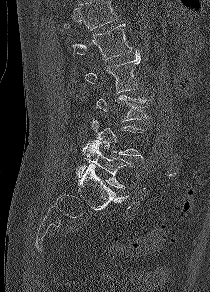 Spine CT. sagittal view. Each box given as x1,y1,x2,y2. No box is given to a vertebra that the top edge of the scan cuts off. The labeled vertebrae in this slice are: L5 at x1=75, y1=142, x2=132, y2=188, L4 at x1=92, y1=119, x2=144, y2=157, L3 at x1=96, y1=95, x2=149, y2=121, L2 at x1=84, y1=50, x2=140, y2=93, L1 at x1=72, y1=24, x2=132, y2=60.